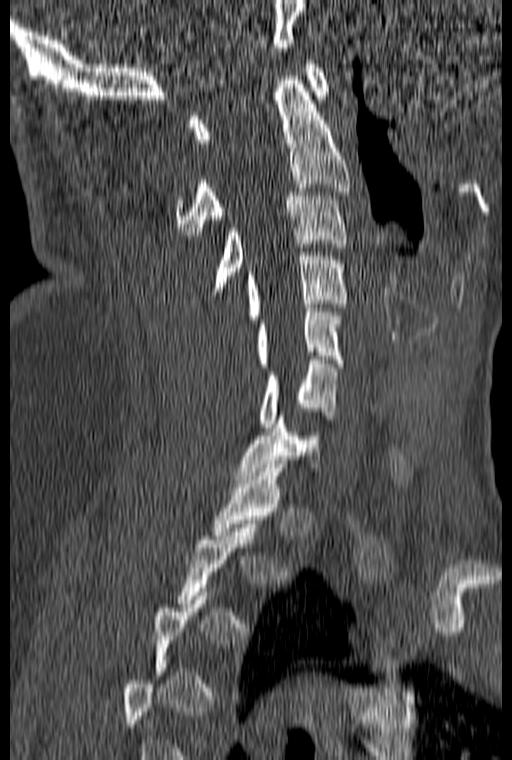 Computed tomography of the spine · sagittal view · Bone window (WL 400, WW 1800)
Coordinates as <box>x1,y1,x2,y2</box>.
Not every vertebra on this slice has a box: a vertebra is boxed only from the first to the last slice where its cross-section is at least a third of its largest, and this slice is outside that range for at least one of them.
T1: <box>210,464,286,539</box>
C7: <box>236,412,320,479</box>
C6: <box>260,356,336,427</box>
C5: <box>257,308,342,367</box>
C4: <box>248,252,346,319</box>
C3: <box>213,192,347,291</box>
C2: <box>175,76,350,235</box>
C1: <box>189,60,330,143</box>